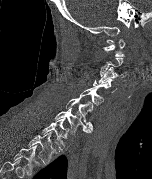
Spine CT. sagittal view. bone window
Box edges are left/top/right/bottom in pixels.
Each vertebra is boxed only on the slices from the first to the last where its cross-section reaches a third of its largest, so a slice outside that range leaves it unboxed.
This scan's labels start at C1 at the top and end at T2 at the bottom.
C1: left=103, top=37, right=125, bottom=56
C3: left=98, top=66, right=123, bottom=83
C4: left=93, top=78, right=117, bottom=92
C5: left=80, top=87, right=104, bottom=107
C6: left=65, top=97, right=93, bottom=132
C7: left=54, top=108, right=90, bottom=134
T1: left=41, top=118, right=68, bottom=150
T2: left=28, top=132, right=56, bottom=164